CT, spine · sagittal plane, index 257 · 512x905 px
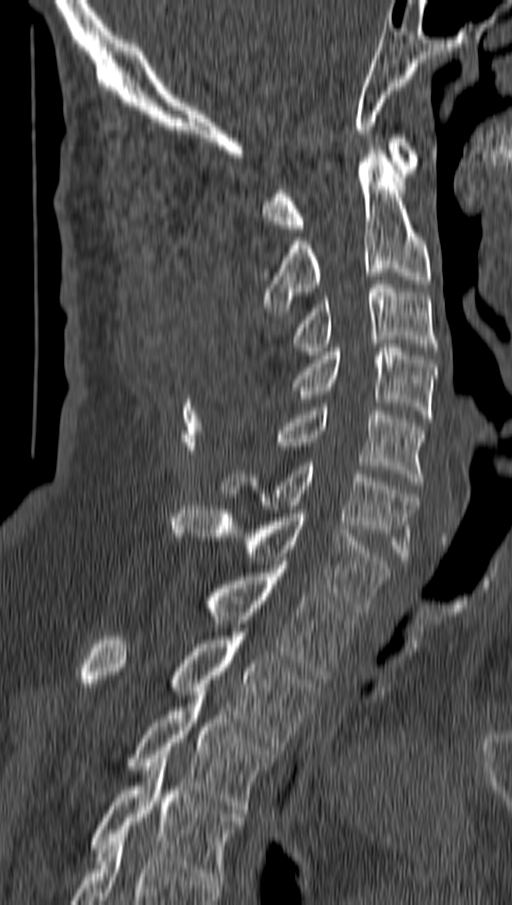 Box values are [left, top, right, bottom] in pixels.
{"vertebrae":{"C1":[263,134,418,232],"C2":[263,150,430,315],"C3":[292,280,437,355],"C4":[292,344,436,422],"C5":[273,403,424,485],"C6":[221,462,417,560],"C7":[172,506,389,615],"T1":[203,565,354,679],"T2":[80,628,316,750],"T3":[124,695,275,813],"T4":[90,759,243,884]}}